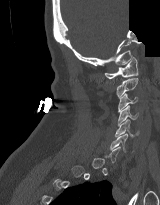 CT — sagittal view — bone window — 160x205 px — a region of this slice is masked with a uniform fill
Boxes: x1 y1 x2 y2 (pixel coords, space-separated). Not every vertebra on this slice has a box: a vertebra is boxed only from the first to the last slice where its cross-section is at least a third of its largest, and this slice is outside that range for at least one of them. The labeled vertebrae in this slice are: C1 at 105 57 138 78, C2 at 116 78 138 97, C3 at 118 93 137 112, C4 at 118 105 138 126, C5 at 115 119 139 136, C6 at 110 133 127 152.